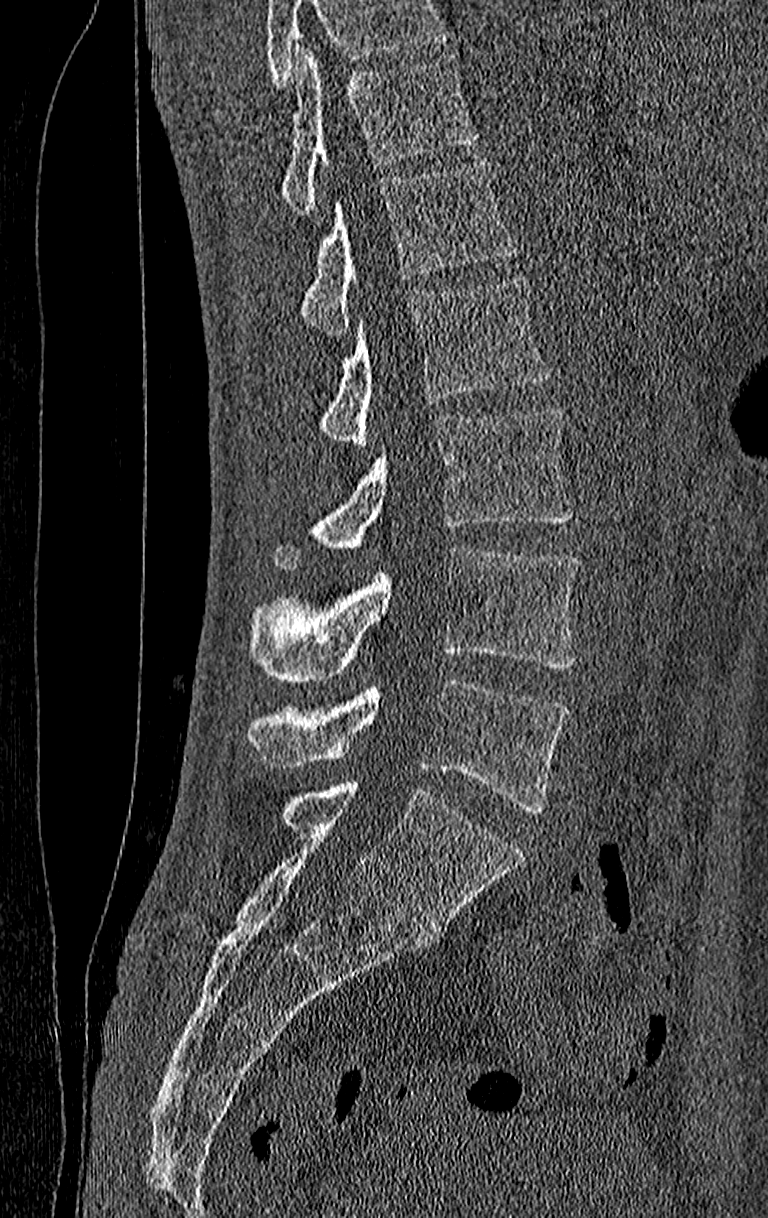

Spine computed tomography. image width 210 mm. sagittal view. W/L 1800/400 HU. 768x1218 px
Box values are [left, top, right, bottom] in pixels.
A vertebra cut off by the top edge of the scan is not labeled and has no box.
Labels in this scan begin with T11 at the top and end with L4 at the bottom.
{"vertebrae":{"L4":[247,678,568,812],"L3":[251,546,579,684],"L2":[273,406,572,570],"L1":[317,275,550,447],"T12":[299,161,521,336],"T11":[280,48,477,216]}}